Spine computed tomography. sagittal view. bone-window reconstruction. 712x702 px
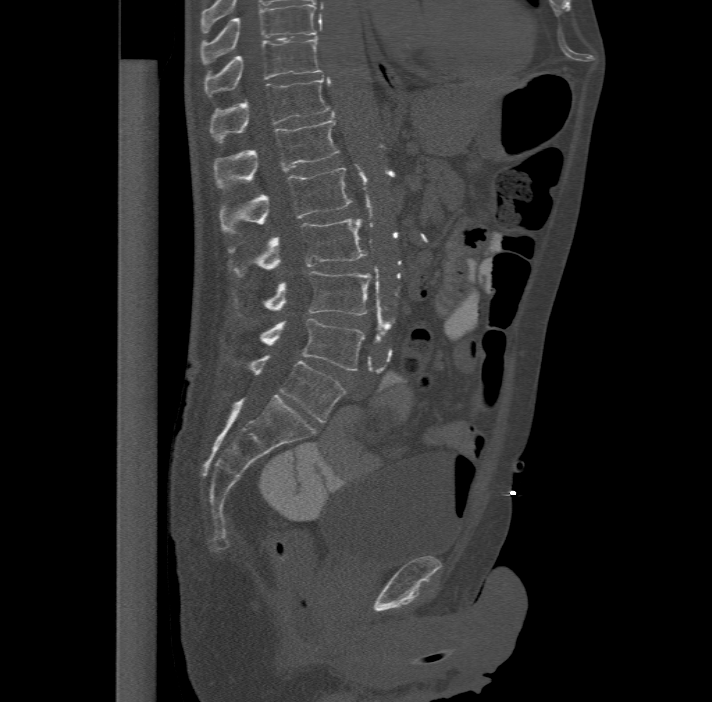
Labels in this scan begin with T11 at the top and end with L6 at the bottom.
In these labels the spine has an L6, a sixth lumbar vertebra below L5.
<vertebrae><v name="L6" x1="246" y1="356" x2="345" y2="422"/><v name="L5" x1="260" y1="318" x2="365" y2="370"/><v name="L4" x1="234" y1="270" x2="372" y2="314"/><v name="L3" x1="228" y1="218" x2="366" y2="276"/><v name="L2" x1="220" y1="167" x2="351" y2="233"/><v name="L1" x1="213" y1="118" x2="340" y2="188"/><v name="T12" x1="209" y1="76" x2="331" y2="141"/><v name="T11" x1="204" y1="37" x2="323" y2="96"/></vertebrae>